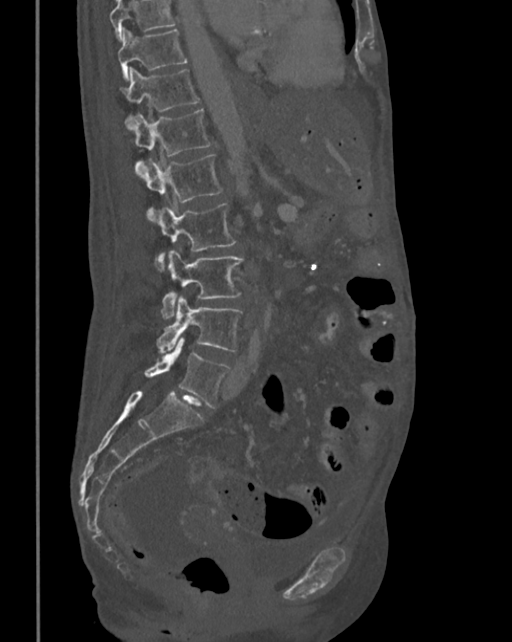
Spine CT. sagittal reformat
In the table, x1 and y1 are a box's top-left corner and x2 and y2 its bottom-right corner, in pixels.
Where the top of the scan cuts through a vertebra, that vertebra gets no label or box.
| vertebra | x1 | y1 | x2 | y2 |
|---|---|---|---|---|
| L5 | 145 | 337 | 229 | 408 |
| L4 | 157 | 297 | 241 | 354 |
| L3 | 161 | 250 | 243 | 319 |
| L2 | 155 | 204 | 235 | 269 |
| L1 | 140 | 155 | 222 | 222 |
| T12 | 128 | 110 | 211 | 176 |
| T11 | 123 | 68 | 199 | 127 |
| T10 | 117 | 29 | 187 | 79 |